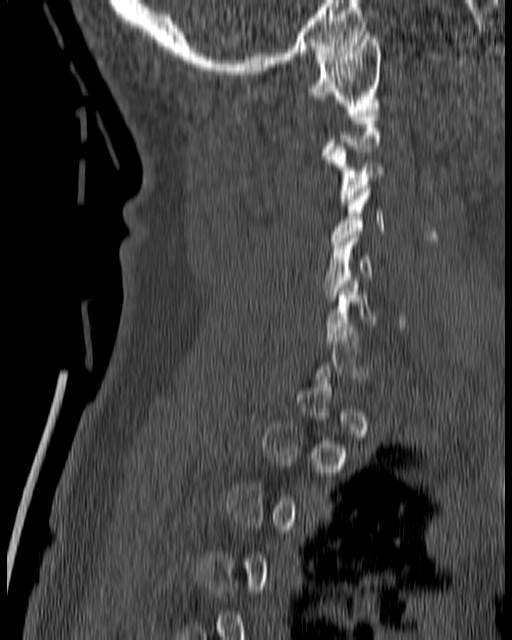 Spine CT · sagittal view
Boxes are (x1, y1, x2, y2) in pixels.
Not every vertebra on this slice has a box: a vertebra is boxed only from the first to the last slice where its cross-section is at least a third of its largest, and this slice is outside that range for at least one of them.
C1: (304, 32, 381, 109)
C3: (322, 146, 387, 205)
C4: (331, 178, 387, 244)
C5: (321, 231, 373, 301)
C6: (325, 277, 405, 333)